Spine computed tomography; Sagittal slice 64/168; W/L 1800/400 HU; 168 mm image width
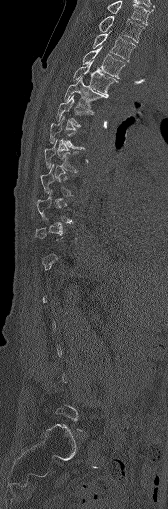 A vertebra is boxed only from the first to the last slice where its cross-section is at least a third of its largest; slices outside that range leave it without a box.
<vertebrae><v name="C7" x1="107" y1="1" x2="150" y2="24"/><v name="T1" x1="99" y1="16" x2="143" y2="42"/><v name="T2" x1="92" y1="33" x2="135" y2="61"/><v name="T3" x1="82" y1="48" x2="125" y2="78"/><v name="T4" x1="73" y1="60" x2="117" y2="96"/><v name="T5" x1="64" y1="77" x2="106" y2="112"/><v name="T6" x1="56" y1="95" x2="93" y2="128"/><v name="T7" x1="49" y1="116" x2="83" y2="148"/><v name="T8" x1="44" y1="139" x2="81" y2="172"/><v name="T9" x1="40" y1="164" x2="75" y2="196"/></vertebrae>